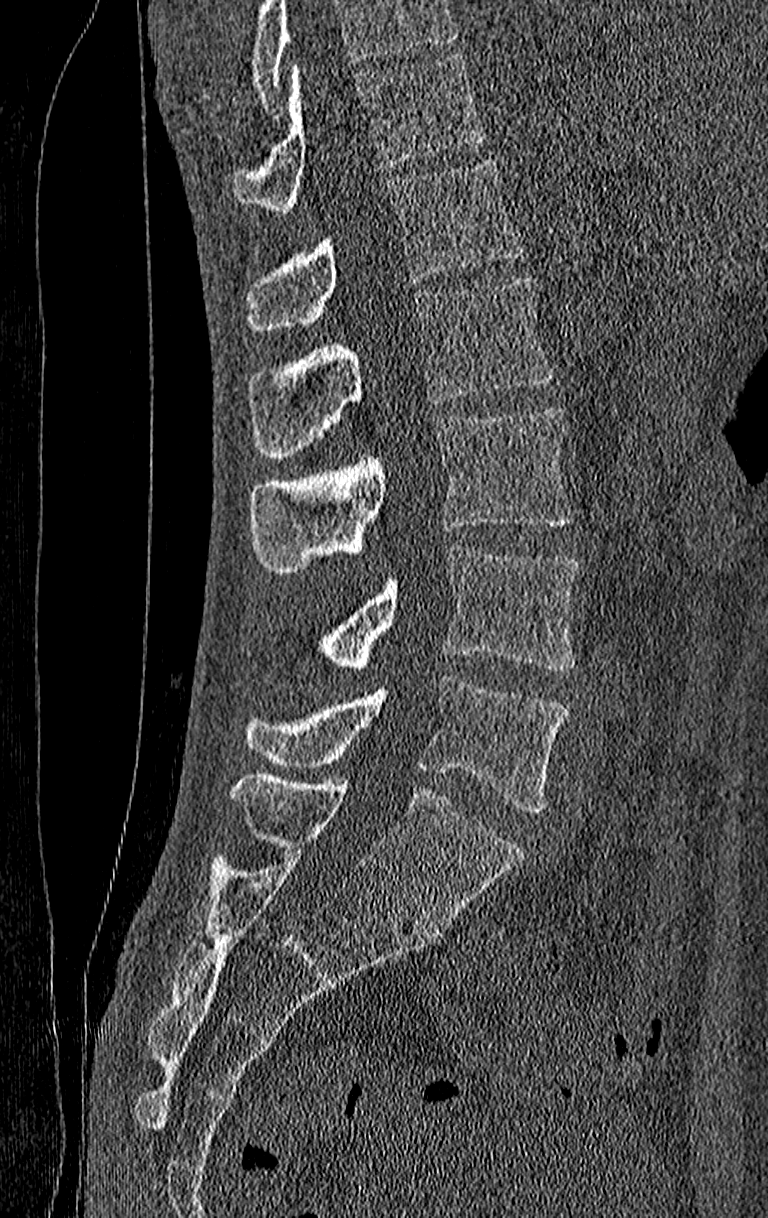
CT spine. sagittal view. Bone window (WL 400, WW 1800). 768x1218 px
Boxes below are [x1, y1, x2, y2] in pixels.
No box is given to a vertebra that the top edge of the scan cuts off.
In this scan, the topmost labeled vertebra is T11 and the lowest is L4.
{"vertebrae":{"T11":[233,53,484,211],"T12":[244,161,524,330],"L1":[247,278,554,457],"L2":[251,406,572,573],"L3":[313,546,579,669],"L4":[244,678,568,812]}}